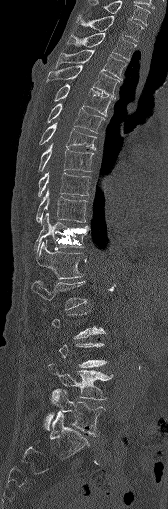 CT spine. the image is 168 mm wide. sagittal view. 168x509 px
Boxes: x1 y1 x2 y2 (pixel coords, space-separated).
A vertebra gets a box only on the slices from the first to the last where its cross-section is at least a third of its largest; on a slice outside that range it gets none.
Vertebra bounding boxes:
- L5: 44 389 105 436
- L4: 48 363 112 400
- L1: 31 279 87 309
- T12: 36 240 82 279
- T11: 34 213 89 252
- T10: 36 190 87 224
- T9: 37 173 90 197
- T8: 38 145 93 171
- T7: 39 123 96 149
- T6: 46 103 104 132
- T5: 52 84 113 116
- T4: 47 66 119 96
- T3: 56 50 126 78
- T2: 67 33 136 60
- T1: 78 16 143 41
- C7: 88 0 150 24